Spine CT · sagittal view
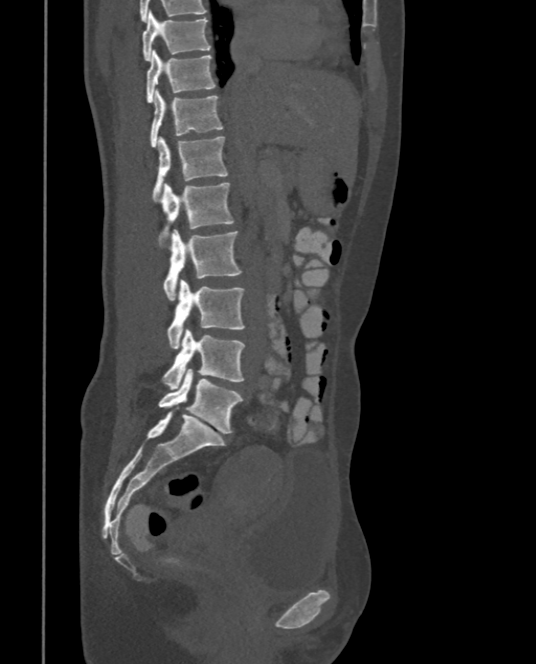 Boxes are (x1, y1, x2, y2) in pixels.
T9: (142, 11, 210, 61)
T10: (145, 50, 216, 103)
T11: (150, 90, 223, 147)
T12: (153, 136, 227, 200)
L1: (160, 183, 233, 247)
L2: (162, 228, 242, 300)
L3: (167, 280, 245, 347)
L4: (162, 328, 245, 389)
L5: (158, 368, 243, 433)